CT, spine. sagittal view
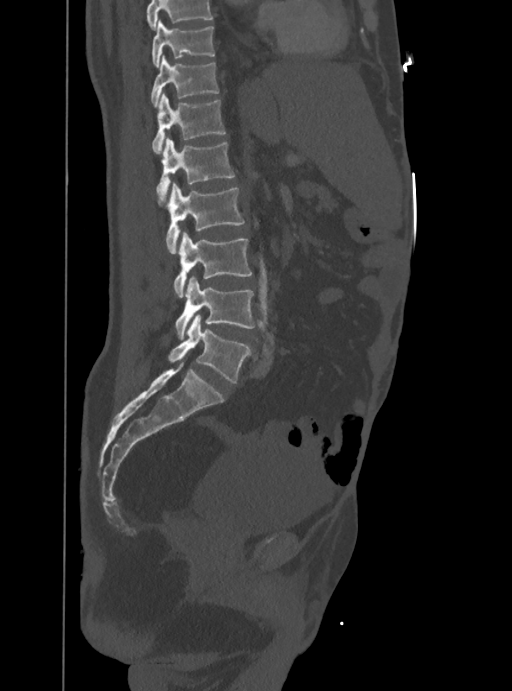
Boxes: x1 y1 x2 y2 (pixel coords, space-separated). No box is given to a vertebra that the top edge of the scan cuts off. The labeled vertebrae in this slice are: T10 at 152 20 214 67, T11 at 150 56 218 107, T12 at 152 93 224 153, L1 at 157 137 235 203, L2 at 166 182 244 253, L3 at 174 230 252 297, L4 at 175 276 254 337, L5 at 167 315 248 383.